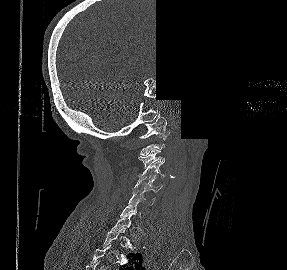
CT spine — sagittal view — part of the scan has been removed (filled with constant black)
Each box is [x1, y1, x2, y2] in pixels: top-left corner, then bottom-right corner.
A vertebra gets a box only on the slices from the first to the last where its cross-section is at least a third of its largest; on a slice outside that range it gets none.
{"vertebrae":{"C1":[139,114,169,140],"C3":[138,148,164,168],"C4":[138,162,165,179],"C5":[133,177,162,192],"C6":[127,190,155,207]}}